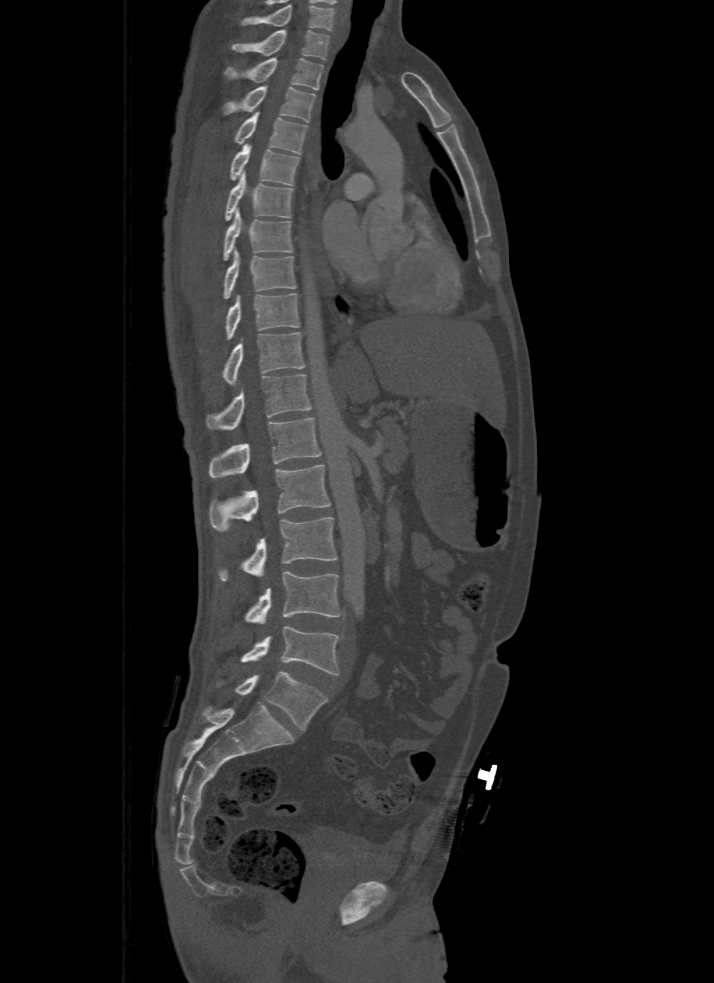

CT. sagittal view. 714x983 px
Boxes below are [x1, y1, x2, y2] in pixels.
Labels in this scan begin with T1 at the top and end with L5 at the bottom.
{"vertebrae":{"T1":[232,30,330,59],"T2":[226,58,323,89],"T3":[223,86,314,122],"T4":[234,112,307,154],"T5":[230,145,300,185],"T6":[225,170,292,221],"T7":[223,208,292,259],"T8":[223,249,296,298],"T9":[226,293,299,339],"T10":[223,332,305,384],"T11":[205,375,310,429],"T12":[208,418,320,478],"L1":[208,465,331,531],"L2":[218,518,337,581],"L3":[244,570,341,622],"L4":[240,626,339,675],"L5":[218,672,328,729]}}